CT — sagittal view — bone window — 246x593 px
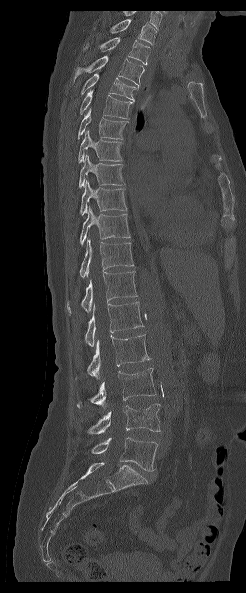
Bounding boxes as [x1, y1, x2, y2] in pixel coordinates.
In this scan, the topmost labeled vertebra is T1 and the lowest is L5.
Vertebra bounding boxes:
- T1: [109, 19, 156, 45]
- T2: [82, 37, 151, 64]
- T3: [74, 56, 144, 89]
- T4: [81, 73, 136, 101]
- T5: [80, 89, 132, 119]
- T6: [78, 109, 128, 139]
- T7: [78, 130, 123, 162]
- T8: [79, 155, 124, 187]
- T9: [79, 180, 126, 214]
- T10: [80, 205, 130, 245]
- T11: [79, 239, 133, 277]
- T12: [67, 270, 137, 313]
- L1: [85, 302, 143, 346]
- L2: [75, 334, 150, 379]
- L3: [77, 368, 156, 408]
- L4: [86, 403, 160, 434]
- L5: [92, 437, 157, 470]